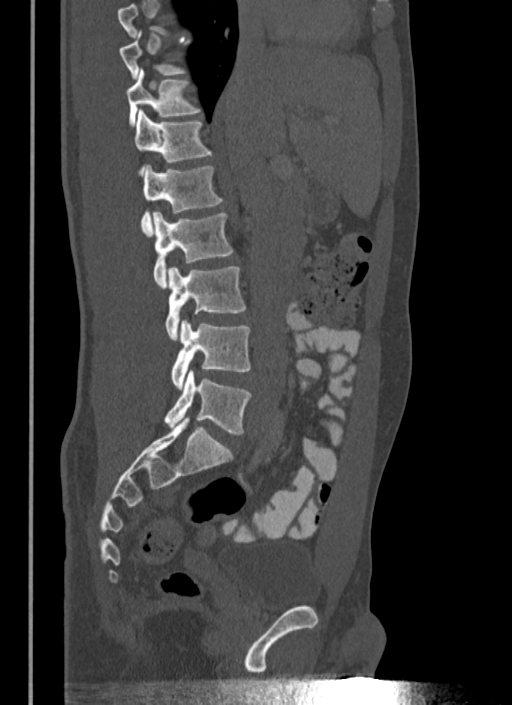 CT spine — sagittal view — 512x705 px — the image is 340 mm wide
A vertebra gets a box only on the slices from the first to the last where its cross-section is at least a third of its largest; on a slice outside that range it gets none.
<vertebrae><v name="T11" x1="126" y1="69" x2="201" y2="125"/><v name="T12" x1="134" y1="110" x2="211" y2="175"/><v name="L1" x1="141" y1="164" x2="223" y2="235"/><v name="L2" x1="153" y1="211" x2="232" y2="288"/><v name="L3" x1="165" y1="267" x2="246" y2="339"/><v name="L4" x1="171" y1="321" x2="250" y2="389"/><v name="L5" x1="164" y1="370" x2="252" y2="434"/></vertebrae>